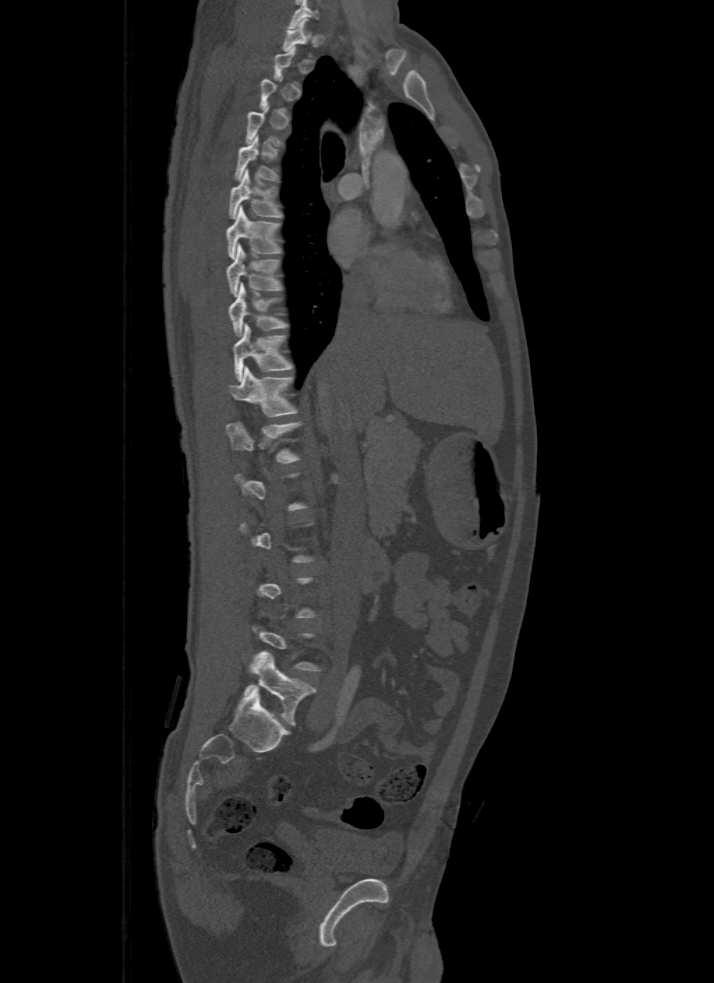

Spine CT — sagittal view
A vertebra gets a box only on the slices from the first to the last where its cross-section is at least a third of its largest; on a slice outside that range it gets none.
<vertebrae><v name="L5" x1="243" y1="652" x2="314" y2="725"/><v name="T12" x1="226" y1="422" x2="300" y2="464"/><v name="T11" x1="229" y1="366" x2="298" y2="417"/><v name="T10" x1="233" y1="323" x2="292" y2="381"/><v name="T9" x1="229" y1="283" x2="286" y2="335"/><v name="T8" x1="226" y1="245" x2="281" y2="296"/><v name="T7" x1="226" y1="205" x2="281" y2="258"/><v name="T6" x1="229" y1="168" x2="281" y2="218"/><v name="T5" x1="234" y1="136" x2="278" y2="181"/></vertebrae>